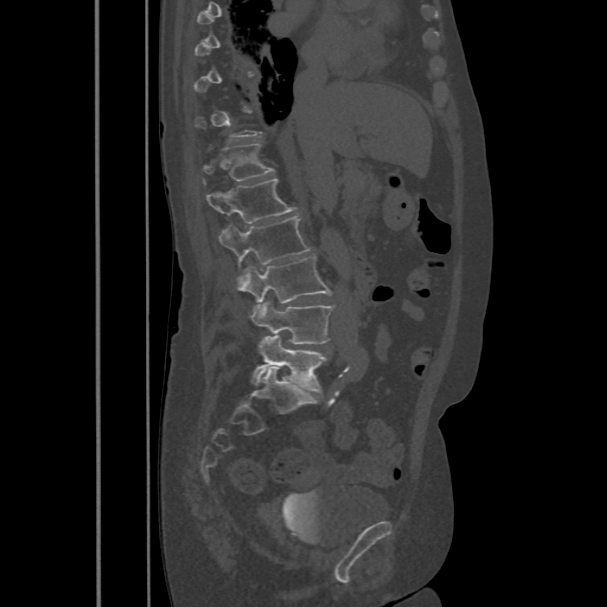

CT spine. sagittal view. bone window. image width 486 mm

Each box given as x1,y1,x2,y2. Each vertebra is boxed only on the slices from the first to the last where its cross-section reaches a third of its largest, so a slice outside that range leaves it unboxed. 6 vertebrae labeled — T12 at x1=203, y1=143, x2=274, y2=181; L1 at x1=206, y1=178, x2=298, y2=222; L2 at x1=218, y1=216, x2=310, y2=282; L3 at x1=236, y1=256, x2=332, y2=316; L4 at x1=251, y1=301, x2=334, y2=344; L5 at x1=251, y1=336, x2=326, y2=392.